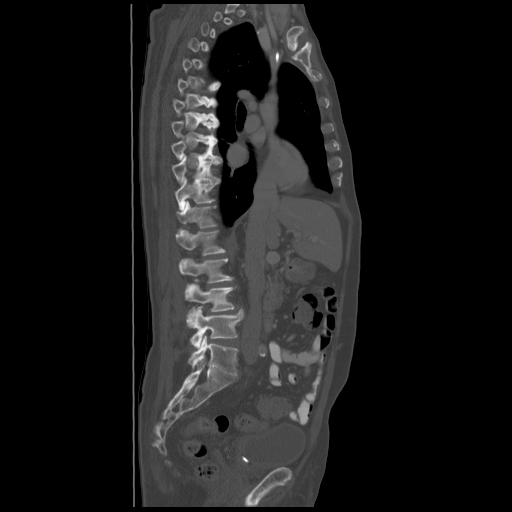 Computed tomography of the spine — sagittal view — bone window
In the table, x1 and y1 are a box's top-left corner and x2 and y2 its bottom-right corner, in pixels.
Not every vertebra on this slice has a box: a vertebra is boxed only from the first to the last slice where its cross-section is at least a third of its largest, and this slice is outside that range for at least one of them.
| vertebra | x1 | y1 | x2 | y2 |
|---|---|---|---|---|
| T6 | 177 | 78 | 219 | 101 |
| T7 | 173 | 99 | 217 | 121 |
| T8 | 171 | 120 | 218 | 140 |
| T9 | 171 | 138 | 221 | 159 |
| T10 | 172 | 156 | 221 | 182 |
| T11 | 175 | 177 | 218 | 210 |
| T12 | 177 | 201 | 217 | 228 |
| L1 | 176 | 229 | 225 | 255 |
| L2 | 179 | 258 | 233 | 283 |
| L3 | 185 | 284 | 235 | 326 |
| L4 | 190 | 308 | 243 | 347 |
| L5 | 189 | 335 | 238 | 375 |